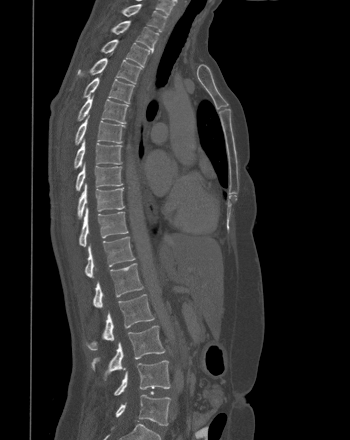

Spine computed tomography. sagittal view. Coordinates as <box>x1,y1,x2,y2</box>.
Vertebra bounding boxes:
- T1: <box>123,4,166,31</box>
- T2: <box>111,21,159,51</box>
- T3: <box>101,39,150,65</box>
- T4: <box>77,58,141,83</box>
- T5: <box>83,77,134,103</box>
- T6: <box>77,96,128,123</box>
- T7: <box>75,115,125,144</box>
- T8: <box>74,139,121,168</box>
- T9: <box>75,163,122,191</box>
- T10: <box>77,183,124,218</box>
- T11: <box>79,207,128,246</box>
- T12: <box>85,236,135,277</box>
- L1: <box>93,263,143,308</box>
- L2: <box>86,294,154,350</box>
- L3: <box>91,325,164,379</box>
- L4: <box>114,360,170,395</box>
- L5: <box>115,394,170,426</box>